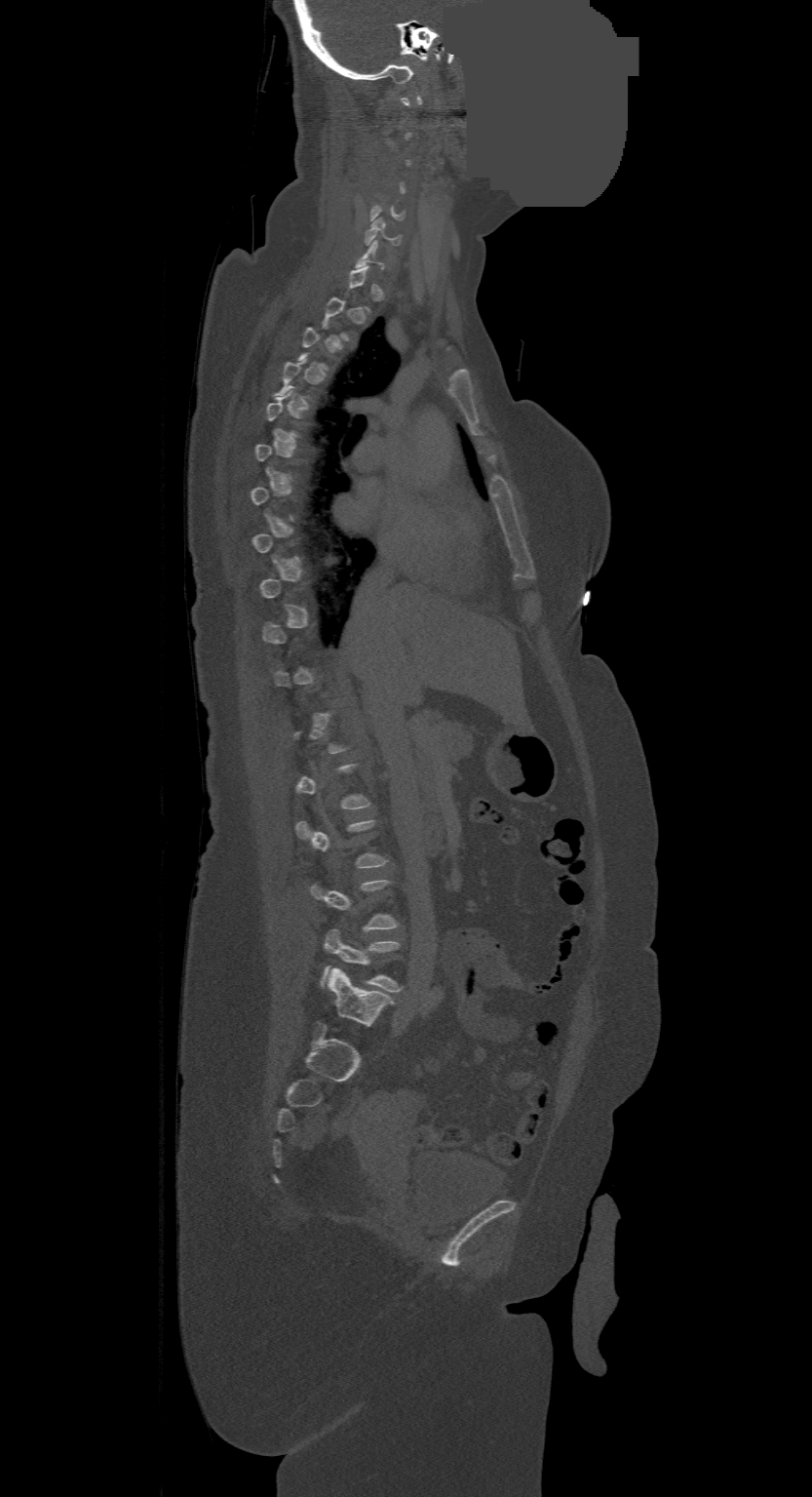

CT — sagittal reformat — Bone window (WL 400, WW 1800) — some of the image was removed or blocked out with constant pixels
Boxes are (x1, y1, x2, y2) in pixels.
A vertebra is boxed only from the first to the last slice where its cross-section is at least a third of its largest; slices outside that range leave it without a box.
Labels in this scan begin with C1 at the top and end with L4 at the bottom.
C6: (364, 217, 401, 245)
L4: (322, 928, 402, 991)